Computed tomography of the spine; Sagittal slice 241/512; Bone window (WL 400, WW 1800)
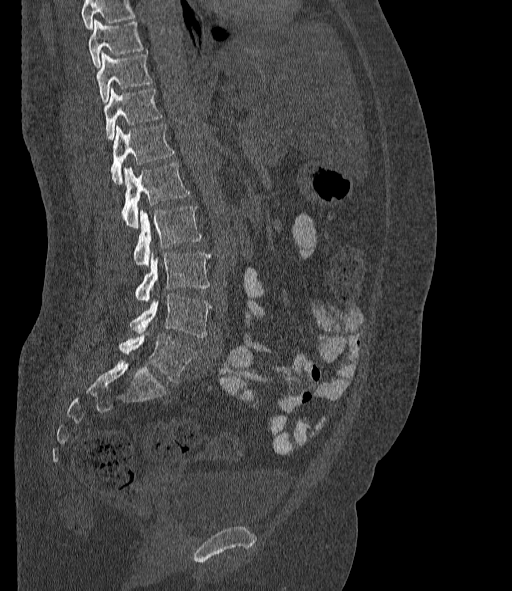

A vertebra cut off by the top edge of the scan is not labeled and has no box.
The labels name a sixth lumbar vertebra for this spine: L6, after L5.
<vertebrae><v name="L6" x1="119" y1="333" x2="196" y2="383"/><v name="L5" x1="130" y1="293" x2="211" y2="337"/><v name="L4" x1="136" y1="251" x2="209" y2="302"/><v name="L3" x1="134" y1="206" x2="201" y2="265"/><v name="L2" x1="122" y1="163" x2="189" y2="229"/><v name="L1" x1="111" y1="124" x2="174" y2="184"/><v name="T12" x1="103" y1="88" x2="160" y2="139"/><v name="T11" x1="95" y1="53" x2="151" y2="102"/><v name="T10" x1="88" y1="20" x2="143" y2="67"/></vertebrae>